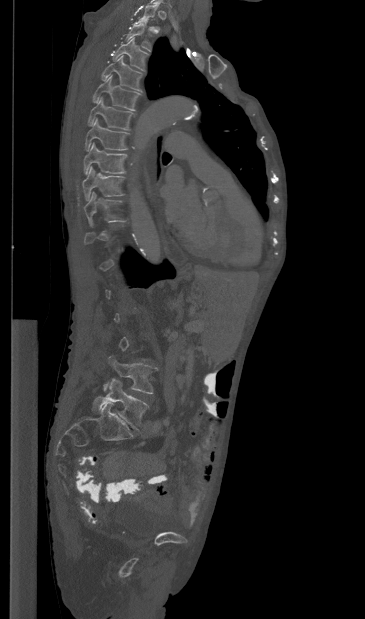 Spine CT. sagittal view. bone window. image 365 mm wide
Bounding boxes as [x1, y1, x2, y2] in pixel coordinates.
Not every vertebra on this slice has a box: a vertebra is boxed only from the first to the last slice where its cross-section is at least a third of its largest, and this slice is outside that range for at least one of them.
L5: [91, 378, 148, 429]
L4: [103, 356, 156, 394]
T10: [84, 192, 125, 226]
T9: [82, 166, 124, 200]
T8: [83, 143, 127, 174]
T7: [85, 118, 129, 150]
T6: [88, 97, 133, 129]
T5: [92, 75, 140, 110]
T4: [101, 55, 142, 91]
T3: [113, 38, 148, 71]
T2: [126, 22, 151, 51]